CT spine; sagittal view; bone-window reconstruction; scan covers 6 annotated vertebrae
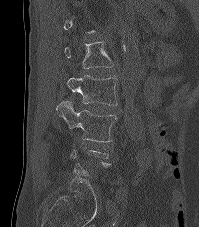

Box edges are left/top/right/bottom in pixels.
A vertebra gets a box only on the slices from the first to the last where its cross-section is at least a third of its largest; on a slice outside that range it gets none.
| vertebra | x1 | y1 | x2 | y2 |
|---|---|---|---|---|
| L1 | 64 | 42 | 113 | 68 |
| L2 | 67 | 75 | 117 | 105 |
| L3 | 56 | 101 | 117 | 142 |